CT spine — Sagittal slice 301/512 — 157 mm wide — 512x929 px — scan covers 13 annotated vertebrae
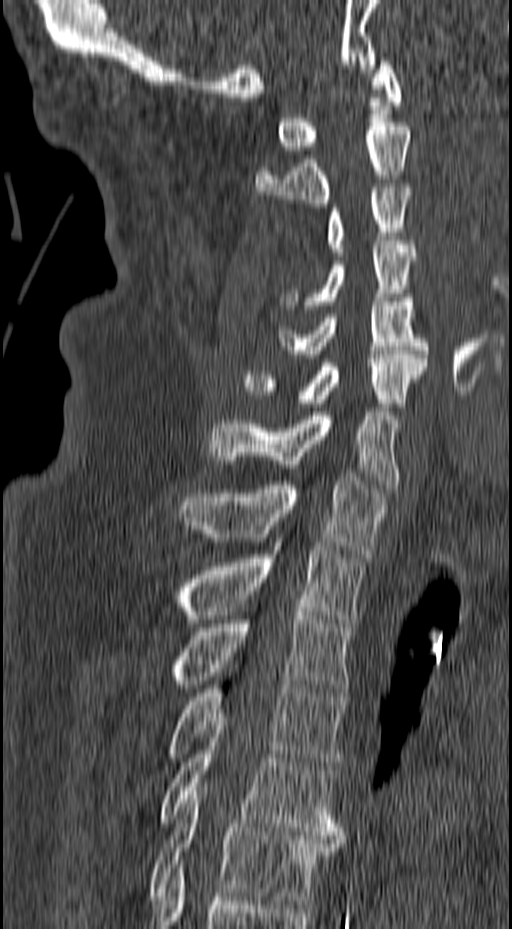

Box values are [left, top, right, bottom] in pixels.
{"vertebrae":{"T6":[147,787,343,904],"T5":[158,726,343,839],"T4":[167,669,346,769],"T3":[169,607,352,692],"T2":[180,546,365,627],"T1":[178,477,385,557],"C7":[207,395,399,488],"C6":[244,351,427,407],"C5":[278,294,428,358],"C4":[278,241,418,309],"C3":[327,188,413,256],"C2":[255,122,411,207],"C1":[276,53,401,154]}}